Spine computed tomography — Sagittal slice 70/124 — W/L 1800/400 HU — 8 vertebrae labeled in this scan
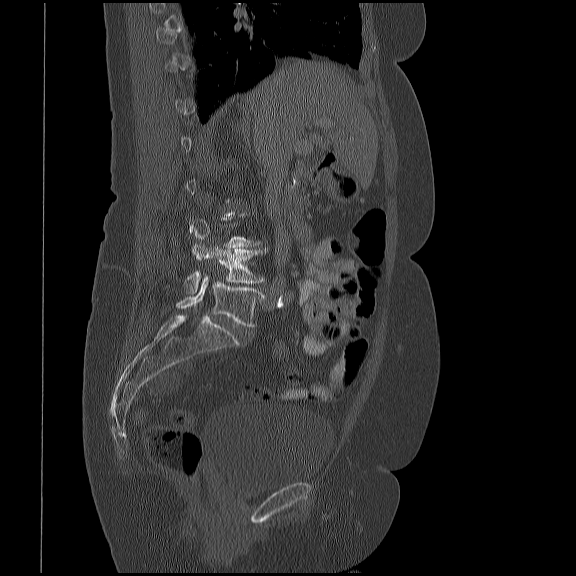 Each vertebra is boxed only on the slices from the first to the last where its cross-section reaches a third of its largest, so a slice outside that range leaves it unboxed.
<vertebrae><v name="L4" x1="185" y1="242" x2="263" y2="294"/><v name="L5" x1="176" y1="275" x2="263" y2="327"/></vertebrae>